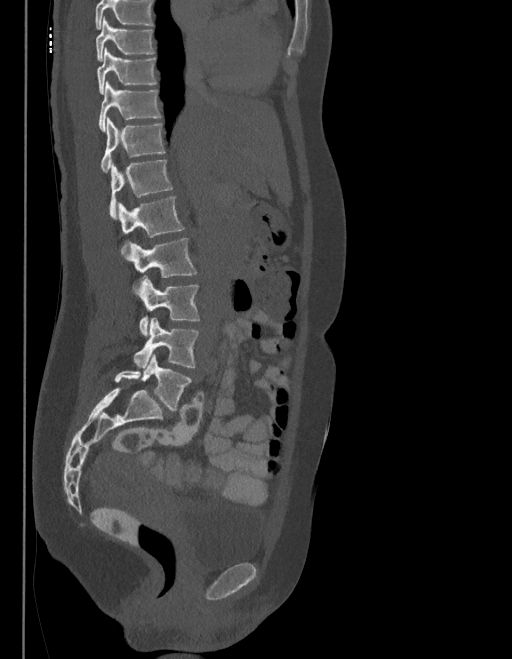
CT spine · 403 mm image width · sagittal view

No box is given to a vertebra that the top edge of the scan cuts off.
In these labels the spine has an L6, a sixth lumbar vertebra below L5.
<vertebrae><v name="T9" x1="96" y1="18" x2="154" y2="61"/><v name="T10" x1="96" y1="48" x2="156" y2="94"/><v name="T11" x1="99" y1="82" x2="160" y2="130"/><v name="T12" x1="100" y1="118" x2="165" y2="172"/><v name="L1" x1="109" y1="159" x2="172" y2="219"/><v name="L2" x1="118" y1="197" x2="184" y2="255"/><v name="L3" x1="127" y1="238" x2="196" y2="277"/><v name="L4" x1="135" y1="277" x2="200" y2="336"/><v name="L5" x1="133" y1="318" x2="198" y2="368"/><v name="L6" x1="114" y1="353" x2="191" y2="409"/></vertebrae>